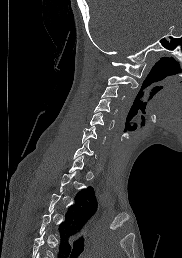
CT spine; sagittal view
In the table, x1 and y1 are a box's top-left corner and x2 and y2 its bottom-right corner, in pixels.
Not every vertebra on this slice has a box: a vertebra is boxed only from the first to the last slice where its cross-section is at least a third of its largest, and this slice is outside that range for at least one of them.
| vertebra | x1 | y1 | x2 | y2 |
|---|---|---|---|---|
| C1 | 112 | 62 | 146 | 77 |
| C2 | 108 | 75 | 138 | 88 |
| C3 | 101 | 85 | 124 | 99 |
| C4 | 94 | 98 | 117 | 113 |
| C5 | 90 | 112 | 114 | 129 |
| C6 | 82 | 126 | 105 | 143 |
| C7 | 73 | 139 | 96 | 159 |